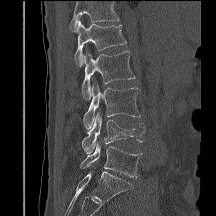 Spine computed tomography · sagittal view · bone window · 216x216 px
Boxes: x1 y1 x2 y2 (pixel coords, space-separated).
A vertebra cut off by the top edge of the scan is not labeled and has no box.
L5: 80 143 141 178
L4: 82 112 144 153
L3: 83 84 140 129
L2: 82 51 135 99
L1: 74 20 126 65